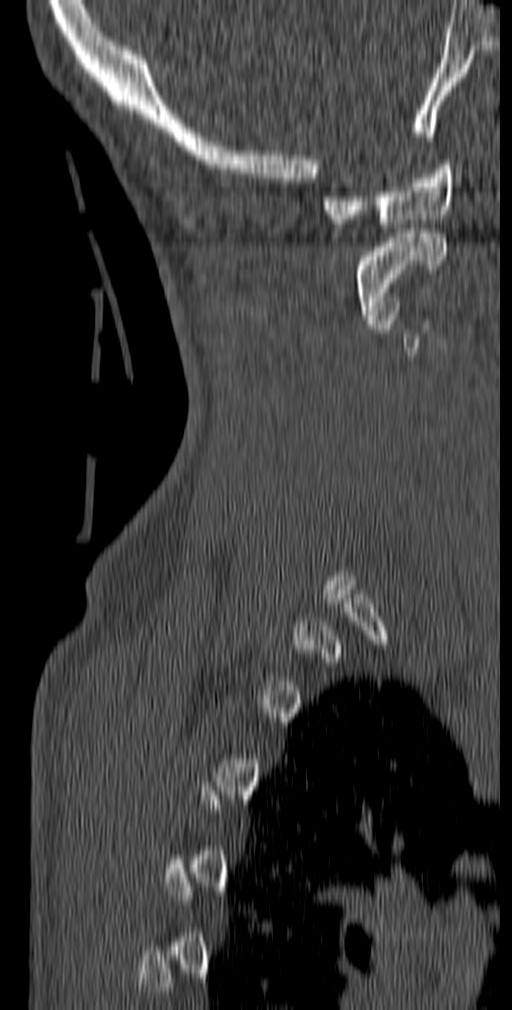

Computed tomography of the spine · sagittal view · Bone window (WL 400, WW 1800) · 512x1010 px

Boxes are given in columns x1, y1, x2, y2, the pixel coordinates of their top-left and bottom-right corners.
A vertebra is boxed only from the first to the last slice where its cross-section is at least a third of its largest; slices outside that range leave it without a box.
| vertebra | x1 | y1 | x2 | y2 |
|---|---|---|---|---|
| C2 | 356 | 229 | 446 | 319 |
| C1 | 323 | 160 | 454 | 228 |